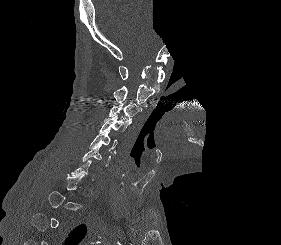

CT spine. 281 mm image width. sagittal view. a portion of the image is blanked out (constant pixel value). Bounding boxes as [x1, y1, x2, y2] in pixel coordinates.
A vertebra is boxed only from the first to the last slice where its cross-section is at least a third of its largest; slices outside that range leave it without a box.
C1: [119, 65, 164, 92]
C2: [113, 82, 155, 107]
C3: [109, 102, 141, 122]
C4: [99, 116, 130, 132]
C5: [89, 130, 117, 153]
C6: [81, 144, 113, 166]